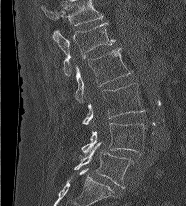
Spine CT; sagittal view; bone-window reconstruction
Each box given as x1,y1,x2,y2.
This scan's labels start at L1 at the top and end at L5 at the bottom.
Vertebra bounding boxes:
- L1: x1=53, y1=21, x2=115, y2=75
- L2: x1=75, y1=48, x2=132, y2=102
- L3: x1=82, y1=83, x2=143, y2=125
- L4: x1=81, y1=122, x2=148, y2=155
- L5: x1=74, y1=142, x2=133, y2=187